Spine computed tomography. sagittal plane, index 210. W/L 1800/400 HU. 512x640 px
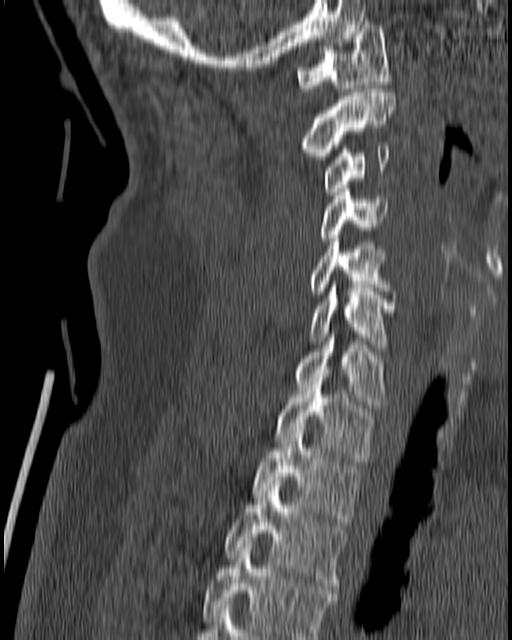 Boxes: x1:y1:x2:y2 in pixels.
C1: 296:21:390:91
C2: 300:89:396:159
C3: 322:146:390:195
C4: 319:188:390:241
C5: 308:235:390:294
C6: 308:284:395:347
C7: 294:334:387:408
T1: 274:380:373:461
T2: 252:427:361:525
T3: 226:480:347:589
T4: 202:544:339:639